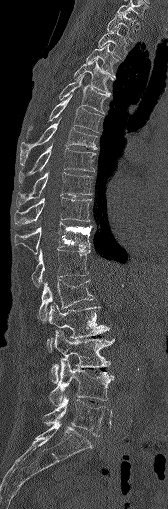

CT, spine. sagittal reformat. 168x509 px
<vertebrae><v name="L5" x1="43" y1="396" x2="110" y2="436"/><v name="L4" x1="49" y1="359" x2="113" y2="405"/><v name="L3" x1="51" y1="330" x2="113" y2="382"/><v name="L2" x1="47" y1="303" x2="107" y2="348"/><v name="L1" x1="38" y1="279" x2="94" y2="320"/><v name="T12" x1="31" y1="247" x2="90" y2="286"/><v name="T11" x1="14" y1="222" x2="91" y2="253"/><v name="T10" x1="15" y1="197" x2="90" y2="223"/><v name="T9" x1="16" y1="172" x2="92" y2="206"/><v name="T8" x1="18" y1="145" x2="94" y2="181"/><v name="T7" x1="20" y1="122" x2="96" y2="163"/><v name="T6" x1="28" y1="95" x2="103" y2="132"/><v name="T5" x1="59" y1="76" x2="109" y2="114"/><v name="T4" x1="74" y1="59" x2="112" y2="96"/><v name="T3" x1="86" y1="44" x2="118" y2="75"/><v name="T2" x1="98" y1="26" x2="127" y2="57"/><v name="T1" x1="106" y1="11" x2="136" y2="40"/><v name="C7" x1="116" y1="0" x2="147" y2="16"/></vertebrae>